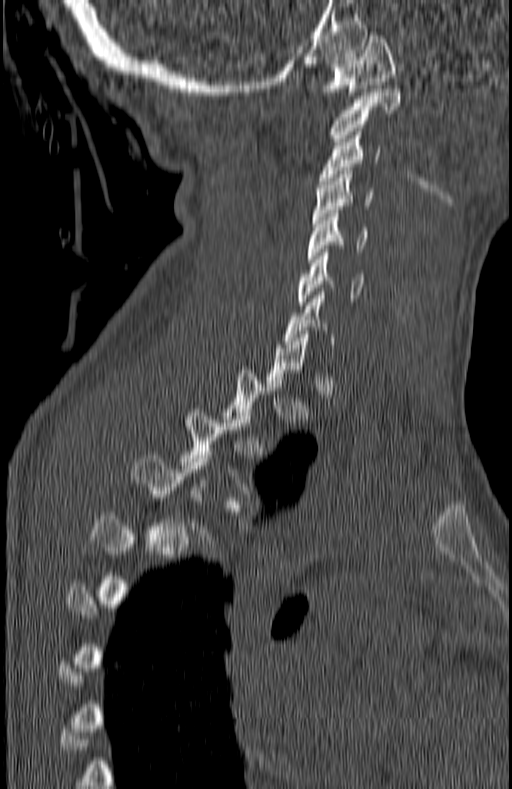
Computed tomography of the spine. sagittal view
Columns x1, y1, x2, y2 give each box's top-left and bottom-right pixels.
A vertebra is boxed only from the first to the last slice where its cross-section is at least a third of its largest; slices outside that range leave it without a box.
| vertebra | x1 | y1 | x2 | y2 |
|---|---|---|---|---|
| C1 | 322 | 32 | 395 | 95 |
| C2 | 331 | 89 | 401 | 141 |
| C3 | 319 | 128 | 380 | 184 |
| C4 | 314 | 171 | 373 | 223 |
| C5 | 307 | 210 | 367 | 262 |
| C6 | 297 | 249 | 364 | 305 |
| C7 | 285 | 292 | 333 | 355 |
| T3 | 183 | 409 | 253 | 497 |
| T4 | 132 | 455 | 239 | 547 |